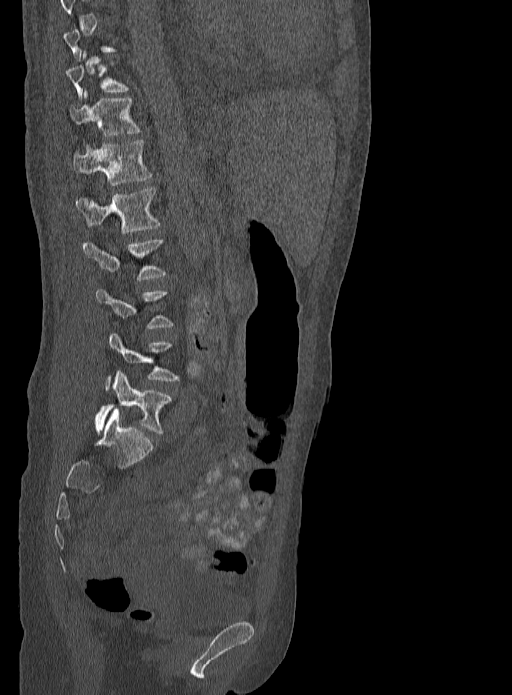 CT — sagittal reformat — image 333 mm wide — bone-window reconstruction — 512x695 px
Box edges are left/top/right/bottom in pixels.
Each vertebra is boxed only on the slices from the first to the last where its cross-section reaches a third of its largest, so a slice outside that range leaves it unboxed.
T10: left=67, top=51, right=129, bottom=100
T11: left=70, top=89, right=140, bottom=136
T12: left=74, top=140, right=152, bottom=185
L1: left=77, top=188, right=160, bottom=234
L2: left=83, top=238, right=166, bottom=280
L4: left=105, top=332, right=179, bottom=390
L5: left=95, top=371, right=172, bottom=434